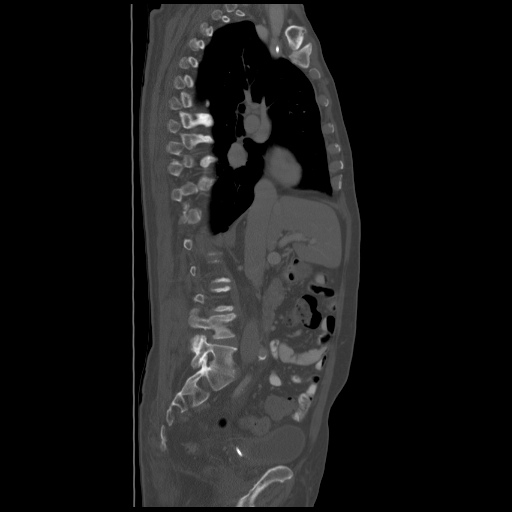
CT, spine · sagittal view
Coordinates as <box>x1,y1,x2,y2</box>.
A vertebra is boxed only from the first to the last slice where its cross-section is at least a third of its largest; slices outside that range leave it without a box.
Vertebra bounding boxes:
- L4: <box>189,308,236,345</box>
- L5: <box>191,335,236,374</box>